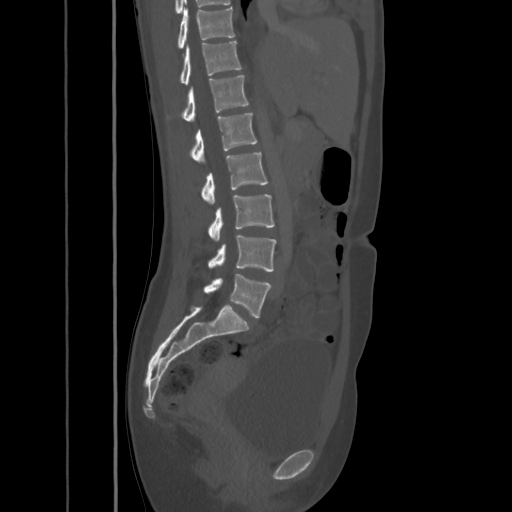 Spine computed tomography; sagittal reformat; 512x512 px. Each box given as x1,y1,x2,y2.
Vertebra bounding boxes:
- T10: x1=178, y1=6, x2=234, y2=47
- T11: x1=181, y1=41, x2=241, y2=85
- T12: x1=183, y1=75, x2=248, y2=122
- L1: x1=192, y1=112, x2=257, y2=164
- L2: x1=201, y1=152, x2=268, y2=205
- L3: x1=209, y1=194, x2=274, y2=241
- L4: x1=209, y1=235, x2=276, y2=271
- L5: x1=204, y1=274, x2=271, y2=317